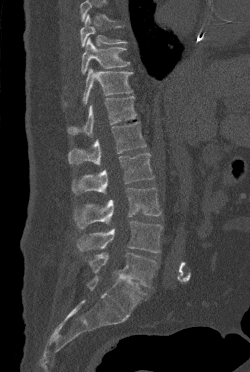 Spine CT · sagittal view · bone window · 250x372 px. Bounding boxes as [x1, y1, x2, y2] in pixel coordinates.
A vertebra cut off by the top edge of the scan is not labeled and has no box.
T9: [80, 14, 126, 47]
T10: [81, 38, 130, 74]
T11: [82, 68, 132, 104]
T12: [67, 96, 136, 136]
L1: [68, 122, 146, 165]
L2: [72, 153, 154, 195]
L3: [74, 188, 161, 229]
L4: [77, 221, 162, 253]
L5: [85, 253, 157, 287]